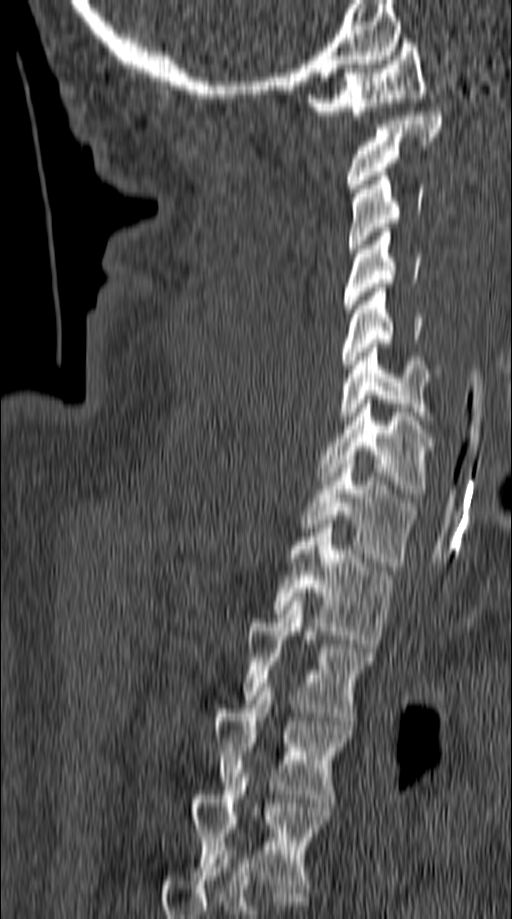

CT, spine; 149 mm image width; sagittal view; bone window
Coordinates as <box>x1,y1,x2,y2</box>.
Vertebra bounding boxes:
- T5: <box>190,773,330,892</box>
- T4: <box>211,683,351,802</box>
- T3: <box>245,597,371,721</box>
- T2: <box>274,524,392,648</box>
- T1: <box>299,460,417,566</box>
- C7: <box>317,399,433,497</box>
- C6: <box>338,344,442,420</box>
- C5: <box>341,288,423,368</box>
- C4: <box>344,228,420,313</box>
- C3: <box>348,172,423,252</box>
- C2: <box>348,112,443,192</box>
- C1: <box>307,39,426,119</box>